Spine CT · sagittal plane, index 38 · W/L 1800/400 HU · 8 vertebrae labeled in this scan
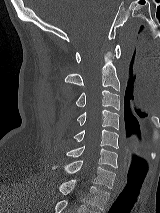

In the table, x1 and y1 are a box's top-left corner and x2 and y2 its bottom-right corner, in pixels.
| vertebra | x1 | y1 | x2 | y2 |
|---|---|---|---|---|
| C1 | 75 | 44 | 120 | 63 |
| C2 | 65 | 52 | 119 | 90 |
| C3 | 73 | 89 | 119 | 110 |
| C4 | 76 | 109 | 119 | 129 |
| C5 | 73 | 129 | 118 | 148 |
| C6 | 63 | 146 | 117 | 167 |
| C7 | 52 | 160 | 115 | 188 |
| T1 | 59 | 179 | 109 | 209 |